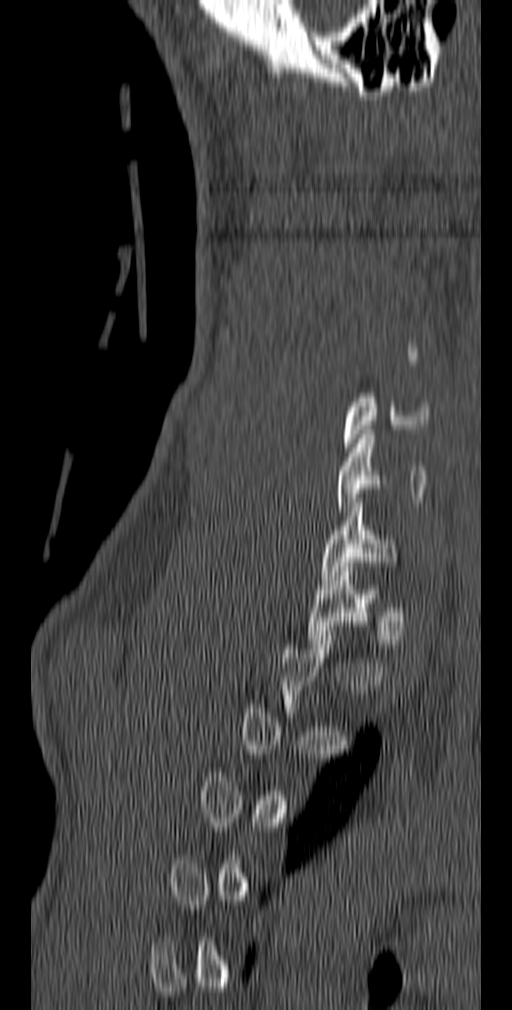
Spine computed tomography · sagittal reformat · W/L 1800/400 HU · image 140 mm wide · 512x1010 px
Box edges are left/top/right/bottom in pixels.
A vertebra is boxed only from the first to the last slice where its cross-section is at least a third of its largest; slices outside that range leave it without a box.
C5: left=343, top=389, right=429, bottom=452
C6: left=337, top=430, right=426, bottom=516
C7: left=321, top=498, right=398, bottom=580